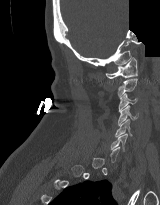
CT spine. sagittal view. bone-window reconstruction. part of the image has been replaced by a constant value

Boxes are (x1, y1, x2, y2) in pixels. Each vertebra is boxed only on the slices from the first to the last where its cross-section reaches a third of its largest, so a slice outside that range leaves it unboxed. The labeled vertebrae in this slice are: C1 at (105, 57, 137, 78), C2 at (117, 78, 137, 97), C3 at (118, 93, 137, 111), C4 at (118, 105, 138, 125), C5 at (115, 119, 132, 136), C6 at (111, 133, 127, 151).